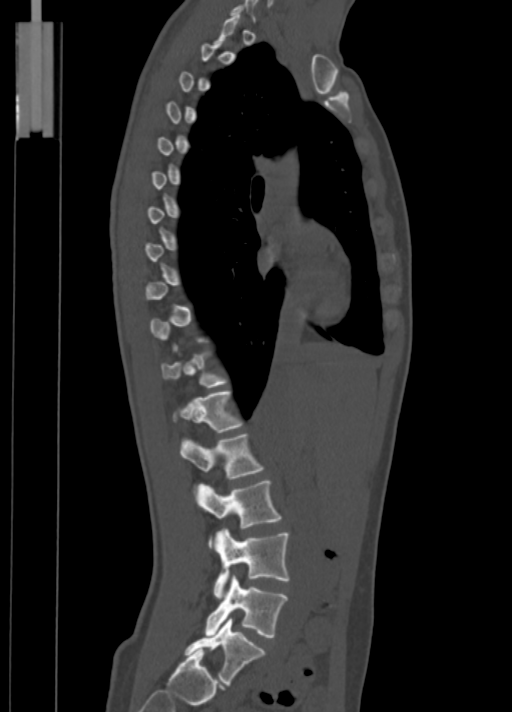 CT spine · sagittal view · bone-window reconstruction

Coordinates as <box>x1,y1,x2,y2</box>. A vertebra is boxed only from the first to the last slice where its cross-section is at least a third of its largest; slices outside that range leave it without a box. Vertebrae labeled: L5 at <box>184,617,265,684</box>, L4 at <box>205,576,287,637</box>, L3 at <box>213,528,290,599</box>, L2 at <box>196,480,281,548</box>, L1 at <box>180,433,264,479</box>, T12 at <box>172,391,243,432</box>, T11 at <box>161,351,227,387</box>.